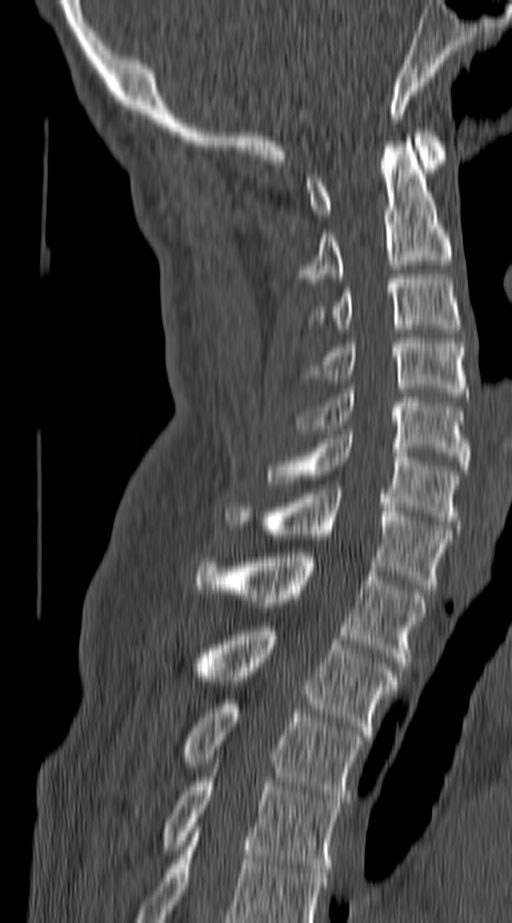

CT spine · sagittal view · image 140 mm wide
In this scan, the topmost labeled vertebra is C1 and the lowest is T4.
<vertebrae><v name="T4" x1="162" y1="777" x2="340" y2="872"/><v name="T3" x1="181" y1="699" x2="362" y2="804"/><v name="T2" x1="192" y1="626" x2="395" y2="735"/><v name="T1" x1="195" y1="553" x2="425" y2="666"/><v name="C7" x1="224" y1="489" x2="450" y2="589"/><v name="C6" x1="266" y1="434" x2="457" y2="525"/><v name="C5" x1="294" y1="389" x2="468" y2="470"/><v name="C4" x1="309" y1="338" x2="465" y2="397"/><v name="C3" x1="312" y1="274" x2="461" y2="328"/><v name="C2" x1="293" y1="142" x2="450" y2="282"/><v name="C1" x1="305" y1="128" x2="443" y2="218"/></vertebrae>